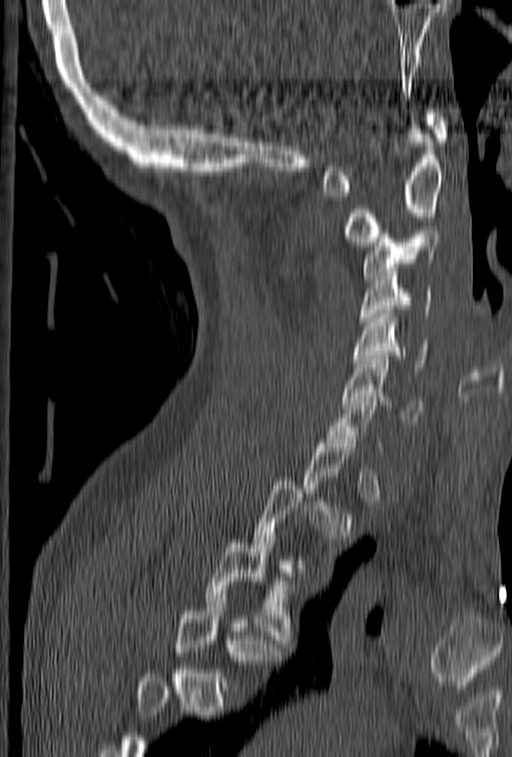

CT, spine — sagittal view — 153 mm image width

Boxes: x1:y1:x2:y2 in pixels. Not every vertebra on this slice has a box: a vertebra is boxed only from the first to the last slice where its cross-section is at least a third of its largest, and this slice is outside that range for at least one of them. A vertebra cut off by the bottom edge of the scan is not labeled and has no box. 9 vertebrae labeled — C1 at 322:109:448:196; C2 at 343:121:442:246; C3 at 362:230:441:283; C4 at 359:264:432:329; C5 at 353:310:429:371; C6 at 343:356:421:421; C7 at 323:389:382:451; T3 at 204:540:301:643; T4 at 175:590:280:693.